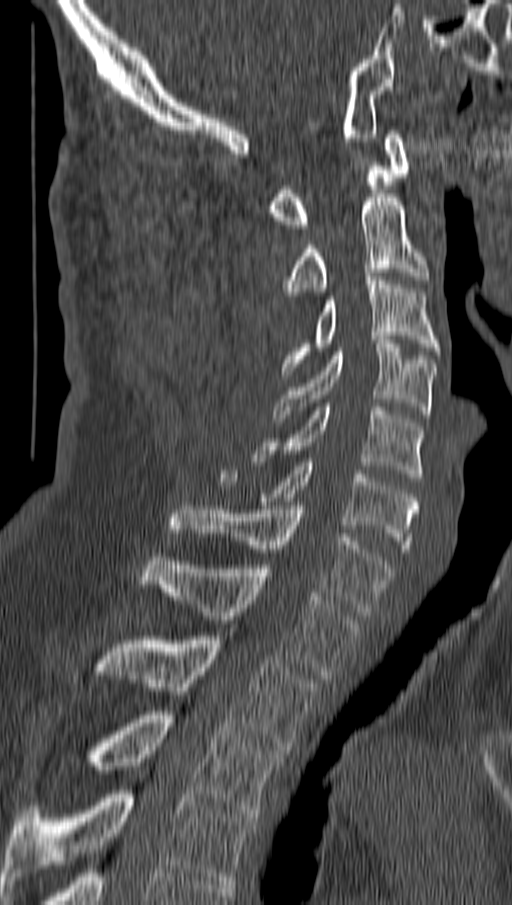 Spine computed tomography. sagittal reformat. Bounding boxes as [x1, y1, x2, y2] in pixel coordinates. 11 vertebrae labeled — T4 at [3, 790, 256, 888]; T3 at [83, 711, 285, 817]; T2 at [96, 636, 319, 754]; T1 at [140, 553, 357, 679]; C7 at [172, 506, 392, 615]; C6 at [218, 462, 417, 552]; C5 at [257, 403, 424, 481]; C4 at [273, 336, 436, 422]; C3 at [282, 273, 439, 374]; C2 at [286, 194, 427, 295]; C1 at [270, 130, 411, 228].